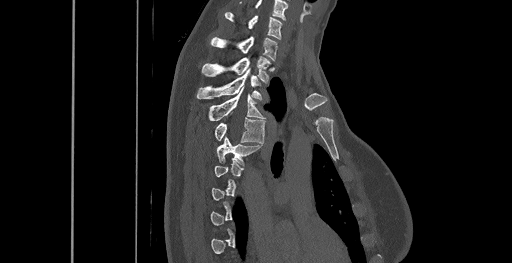

Spine CT; sagittal view; 512x263 px; the image spans 461 mm across. Boxes: x1:y1:x2:y2 in pixels.
Each vertebra is boxed only on the slices from the first to the last where its cross-section reaches a third of its largest, so a slice outside that range leaves it unboxed.
This scan's labels start at C6 at the top and end at T8 at the bottom.
Vertebra bounding boxes:
- T5: 216:136:261:165
- T4: 215:117:264:143
- T3: 208:89:264:121
- T2: 196:70:262:99
- T1: 202:56:271:81
- C7: 211:36:277:60
- C6: 224:12:282:39